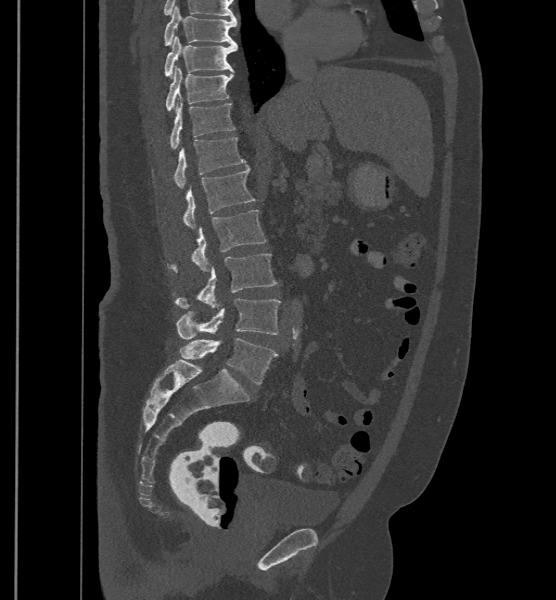
CT spine; the image spans 500 mm across; sagittal view
In these labels the spine has an L6, a sixth lumbar vertebra below L5.
<vertebrae><v name="L6" x1="179" y1="338" x2="277" y2="383"/><v name="L5" x1="177" y1="298" x2="280" y2="339"/><v name="L4" x1="175" y1="253" x2="277" y2="309"/><v name="L3" x1="169" y1="210" x2="266" y2="271"/><v name="L2" x1="183" y1="168" x2="255" y2="229"/><v name="L1" x1="175" y1="137" x2="245" y2="188"/><v name="T12" x1="170" y1="96" x2="234" y2="149"/><v name="T11" x1="166" y1="66" x2="233" y2="111"/><v name="T10" x1="165" y1="36" x2="237" y2="77"/><v name="T9" x1="164" y1="6" x2="237" y2="45"/></vertebrae>